Computed tomography of the spine; Sagittal slice 222/512
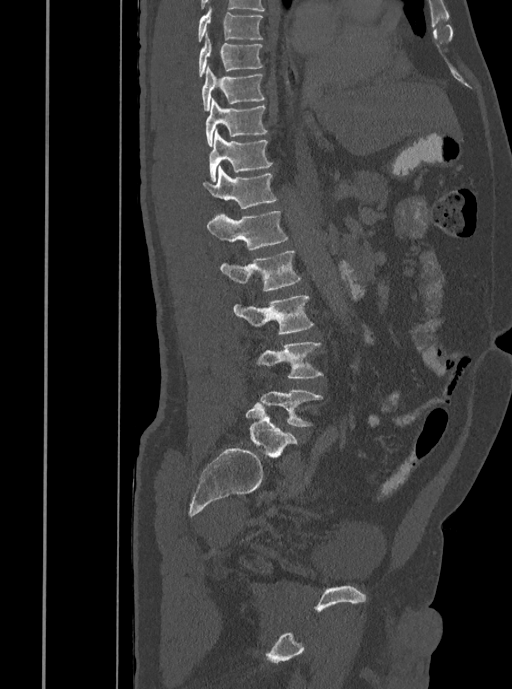
Boxes: x1:y1:x2:y2 in pixels. 11 vertebrae labeled — T7 at 197:8:262:42; T8 at 198:34:262:77; T9 at 202:66:265:111; T10 at 206:98:267:147; T11 at 209:130:272:181; T12 at 203:166:277:209; L1 at 207:211:287:249; L2 at 220:250:301:292; L3 at 233:295:314:334; L4 at 256:341:323:378; L5 at 260:390:323:427.